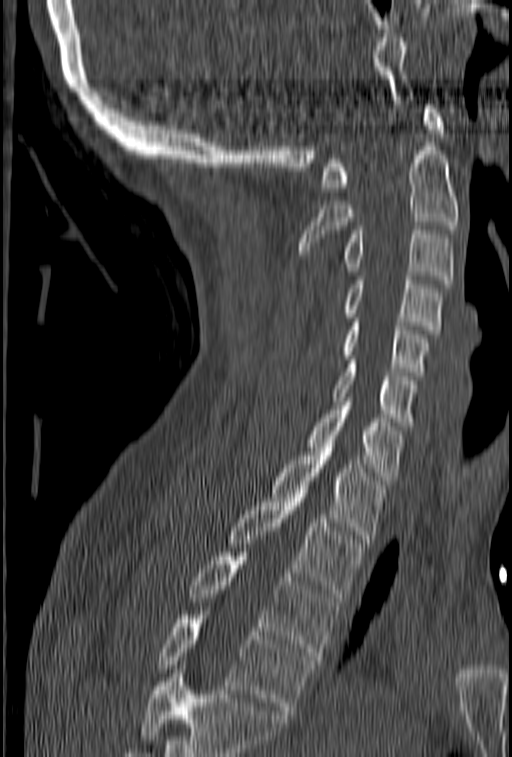 Computed tomography of the spine. sagittal view

A vertebra cut off by the bottom edge of the scan is not labeled and has no box.
<vertebrae><v name="C1" x1="320" y1="105" x2="444" y2="191"/><v name="C2" x1="299" y1="146" x2="459" y2="258"/><v name="C3" x1="343" y1="226" x2="454" y2="283"/><v name="C4" x1="346" y1="276" x2="442" y2="334"/><v name="C5" x1="343" y1="318" x2="429" y2="375"/><v name="C6" x1="332" y1="360" x2="418" y2="426"/><v name="C7" x1="306" y1="397" x2="402" y2="484"/><v name="T1" x1="272" y1="452" x2="385" y2="543"/><v name="T2" x1="228" y1="489" x2="364" y2="597"/><v name="T3" x1="191" y1="552" x2="336" y2="660"/><v name="T4" x1="158" y1="611" x2="313" y2="714"/></vertebrae>